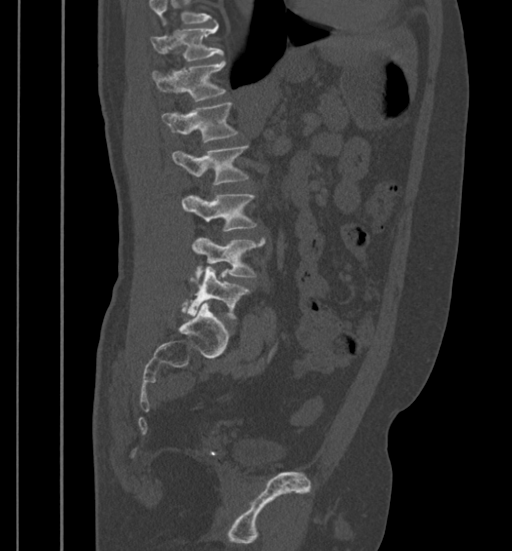

CT spine — sagittal view — bone-window reconstruction — 512x551 px
Boxes below are [x1, y1, x2, y2] in pixels.
Where the top of the scan cuts through a vertebra, that vertebra gets no label or box.
{"vertebrae":{"T11":[151,24,223,61],"T12":[151,60,225,100],"L1":[162,103,238,143],"L2":[172,146,248,185],"L3":[182,193,255,231],"L4":[191,237,264,277],"L5":[189,267,249,318]}}